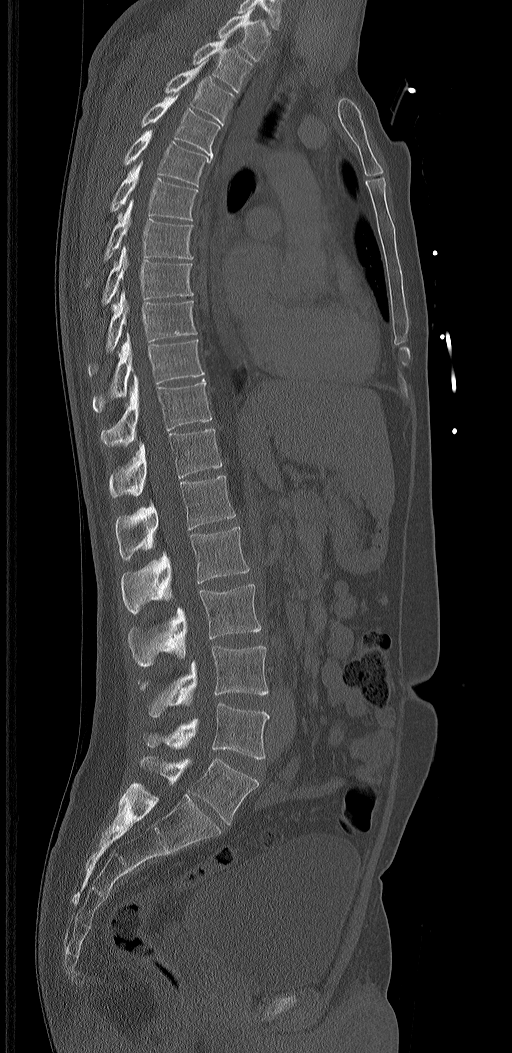
Computed tomography of the spine — image 320 mm wide — sagittal view — Bone window (WL 400, WW 1800)
Each box given as x1,y1,x2,y2. The labels name a sixth lumbar vertebra for this spine: L6, after L5. Vertebrae labeled: T1 at x1=218, y1=7, x2=271, y2=61, T2 at x1=192, y1=35, x2=252, y2=92, T3 at x1=165, y1=60, x2=235, y2=124, T4 at x1=141, y1=95, x2=220, y2=158, T5 at x1=124, y1=130, x2=211, y2=186, T6 at x1=109, y1=160, x2=198, y2=220, T7 at x1=85, y1=199, x2=193, y2=286, T8 at x1=92, y1=245, x2=193, y2=318, T9 at x1=88, y1=290, x2=196, y2=375, T10 at x1=93, y1=333, x2=204, y2=412, T11 at x1=100, y1=374, x2=212, y2=446, T12 at x1=109, y1=429, x2=222, y2=497, L1 at x1=116, y1=476, x2=235, y2=559, L2 at x1=120, y1=527, x2=249, y2=614, L3 at x1=128, y1=584, x2=260, y2=667, L4 at x1=138, y1=645, x2=268, y2=717, L5 at x1=144, y1=703, x2=270, y2=759, L6 at x1=140, y1=756, x2=259, y2=823.